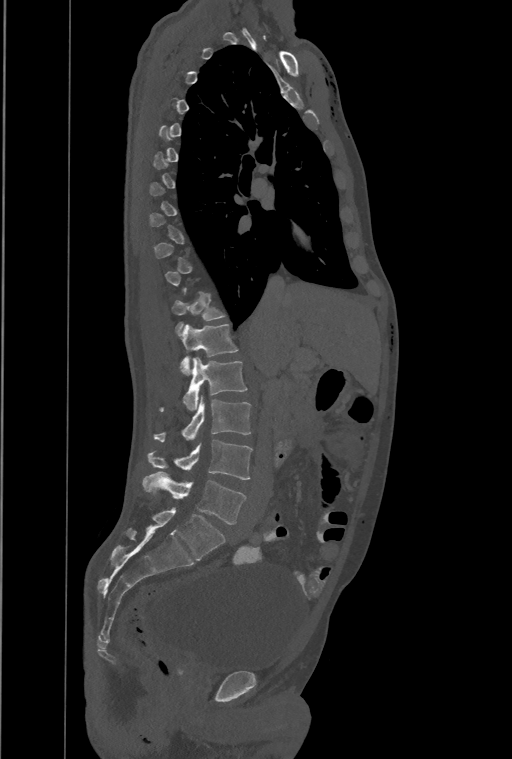 CT, spine · sagittal view · bone window
Coordinates as <box>x1,y1,x2,y2</box>. Each vertebra is boxed only on the slices from the first to the last where its cross-section reaches a third of its largest, so a slice outside that range leaves it unboxed. The highest labeled vertebra in this scan is T1; the lowest is L4. In these labels the spine has a T13, a thirteenth thoracic vertebra, between T12 and L1. 6 vertebrae labeled — T12 at <box>172,292,225,335</box>; T13 at <box>181,324,238,375</box>; L1 at <box>160,357,247,410</box>; L2 at <box>153,400,251,441</box>; L3 at <box>147,440,252,479</box>; L4 at <box>142,471,245,524</box>.